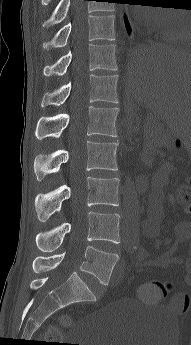

CT, spine — sagittal reformat
This scan's labels start at T10 at the top and end at L5 at the bottom.
<vertebrae><v name="T10" x1="43" y1="15" x2="115" y2="49"/><v name="T11" x1="43" y1="44" x2="117" y2="76"/><v name="T12" x1="41" y1="74" x2="118" y2="106"/><v name="L1" x1="35" y1="106" x2="119" y2="139"/><v name="L2" x1="33" y1="140" x2="118" y2="180"/><v name="L3" x1="34" y1="177" x2="119" y2="222"/><v name="L4" x1="35" y1="211" x2="120" y2="251"/><v name="L5" x1="32" y1="246" x2="119" y2="285"/></vertebrae>